Spine CT · sagittal plane, index 273
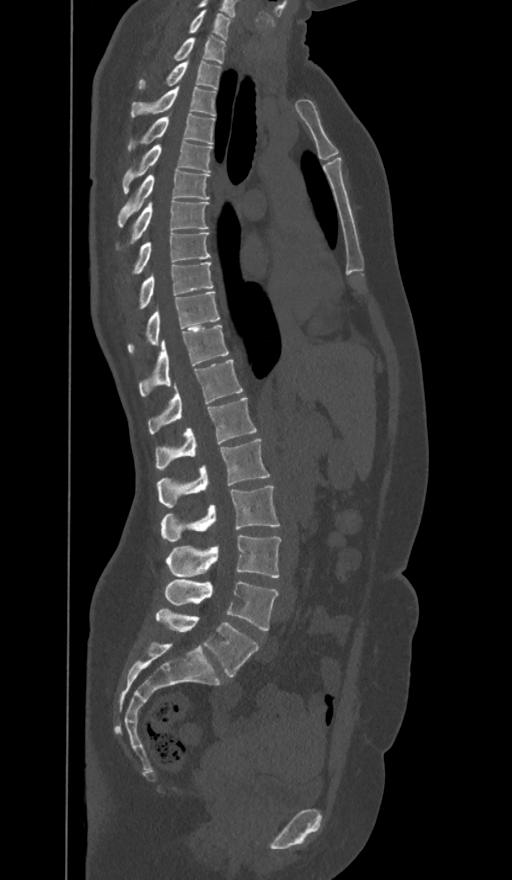
Boxes are given in columns x1, y1, x2, y2, the pixel coordinates of their top-left and bottom-right corners.
In these labels the spine has an L6, a sixth lumbar vertebra below L5.
| vertebra | x1 | y1 | x2 | y2 |
|---|---|---|---|---|
| C7 | 189 | 9 | 230 | 38 |
| T1 | 174 | 36 | 225 | 63 |
| T2 | 138 | 62 | 221 | 89 |
| T3 | 131 | 86 | 215 | 116 |
| T4 | 127 | 113 | 214 | 151 |
| T5 | 123 | 140 | 212 | 192 |
| T6 | 118 | 169 | 209 | 226 |
| T7 | 116 | 200 | 208 | 248 |
| T8 | 133 | 233 | 210 | 274 |
| T9 | 139 | 262 | 212 | 308 |
| T10 | 127 | 291 | 219 | 353 |
| T11 | 139 | 325 | 227 | 396 |
| T12 | 148 | 360 | 242 | 434 |
| L1 | 156 | 397 | 256 | 470 |
| L2 | 157 | 439 | 270 | 507 |
| L3 | 161 | 485 | 279 | 542 |
| L4 | 165 | 535 | 281 | 578 |
| L5 | 165 | 579 | 278 | 630 |
| L6 | 156 | 609 | 258 | 677 |